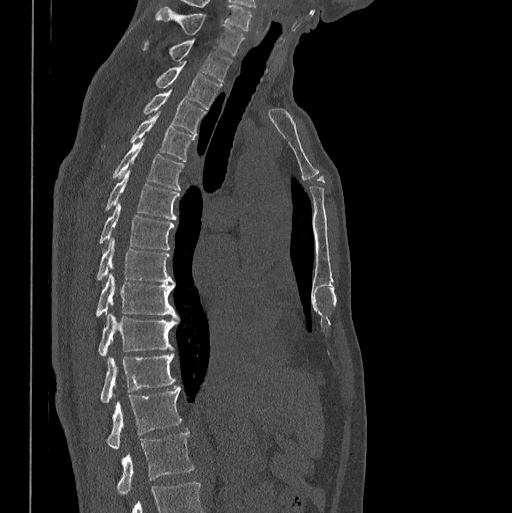

CT; sagittal view. Each box given as x1,y1,x2,y2.
This scan's labels start at C7 at the top and end at L1 at the bottom.
C7: x1=156, y1=7, x2=245, y2=56
T1: x1=143, y1=39, x2=232, y2=81
T2: x1=156, y1=63, x2=221, y2=108
T3: x1=143, y1=88, x2=206, y2=133
T4: x1=130, y1=112, x2=194, y2=161
T5: x1=112, y1=140, x2=184, y2=190
T6: x1=105, y1=170, x2=179, y2=220
T7: x1=99, y1=203, x2=174, y2=249
T8: x1=96, y1=237, x2=173, y2=283
T9: x1=95, y1=273, x2=178, y2=317
T10: x1=98, y1=314, x2=178, y2=357
T11: x1=100, y1=353, x2=175, y2=403
T12: x1=107, y1=386, x2=182, y2=449
L1: x1=116, y1=432, x2=193, y2=493